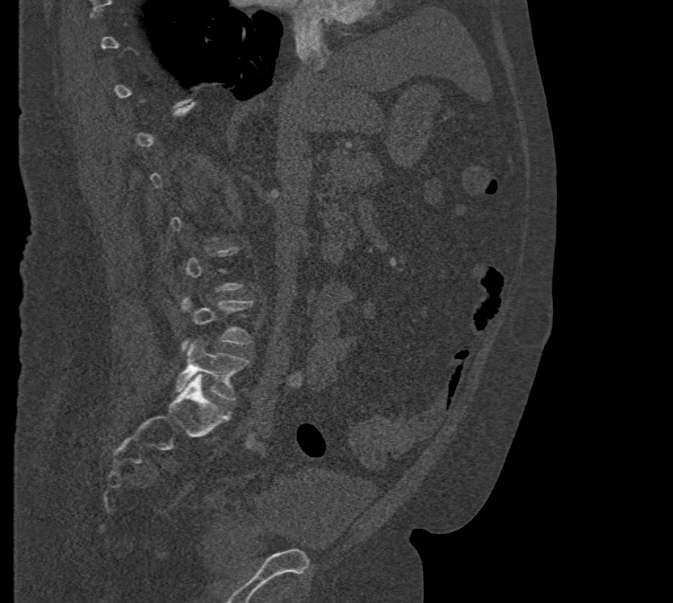
Computed tomography of the spine — sagittal view — 673x603 px
A vertebra is boxed only from the first to the last slice where its cross-section is at least a third of its largest; slices outside that range leave it without a box.
<vertebrae><v name="L5" x1="176" y1="340" x2="249" y2="401"/><v name="L4" x1="180" y1="296" x2="253" y2="350"/></vertebrae>